CT — 160 mm wide — Sagittal slice 246/512 — Bone window (WL 400, WW 1800) — 512x696 px
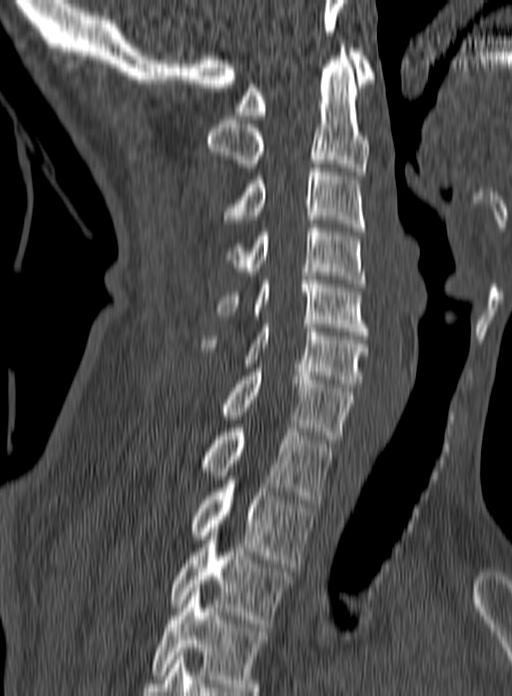 Boxes: x1:y1:x2:y2 in pixels.
This scan's labels start at C1 at the top and end at T3 at the bottom.
Vertebra bounding boxes:
- C1: 234:48:377:119
- C2: 206:44:369:175
- C3: 221:164:365:231
- C4: 225:224:365:287
- C5: 215:272:368:335
- C6: 201:324:368:387
- C7: 219:368:354:443
- T1: 200:428:333:503
- T2: 190:480:314:567
- T3: 171:528:292:627